Computed tomography of the spine — sagittal reformat — scan covers 17 annotated vertebrae
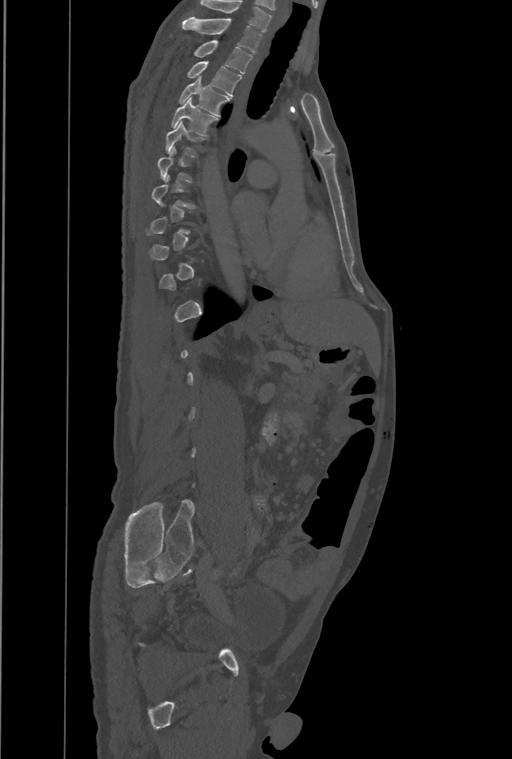

Each row gives a vertebra's box as x1, y1, x2, y2 in pixels: top-left corner, then bottom-right corner.
Not every vertebra on this slice has a box: a vertebra is boxed only from the first to the last slice where its cross-section is at least a third of its largest, and this slice is outside that range for at least one of them.
Labels in this scan begin with T1 at the top and end with L4 at the bottom.
| vertebra | x1 | y1 | x2 | y2 |
|---|---|---|---|---|
| T1 | 182 | 17 | 262 | 53 |
| T2 | 193 | 40 | 252 | 74 |
| T3 | 187 | 61 | 242 | 96 |
| T4 | 178 | 77 | 229 | 116 |
| T5 | 171 | 98 | 218 | 135 |
| T6 | 165 | 121 | 206 | 157 |